Spine CT · 218 mm wide · sagittal view · Bone window (WL 400, WW 1800) · scan covers 18 annotated vertebrae
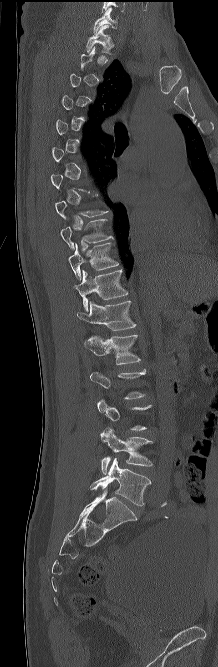
Box edges are left/top/right/bottom in pixels.
Each vertebra is boxed only on the slices from the first to the last where its cross-section reaches a third of its largest, so a slice outside that range leaves it unboxed.
C7: left=93, top=8, right=118, bottom=32
T1: left=86, top=25, right=110, bottom=54
T9: left=60, top=219, right=113, bottom=249
T10: left=68, top=242, right=118, bottom=279
T11: left=75, top=269, right=128, bottom=311
T12: left=76, top=300, right=136, bottom=330
L1: left=84, top=334, right=141, bottom=364
L4: left=100, top=428, right=152, bottom=474
L5: left=90, top=457, right=151, bottom=505